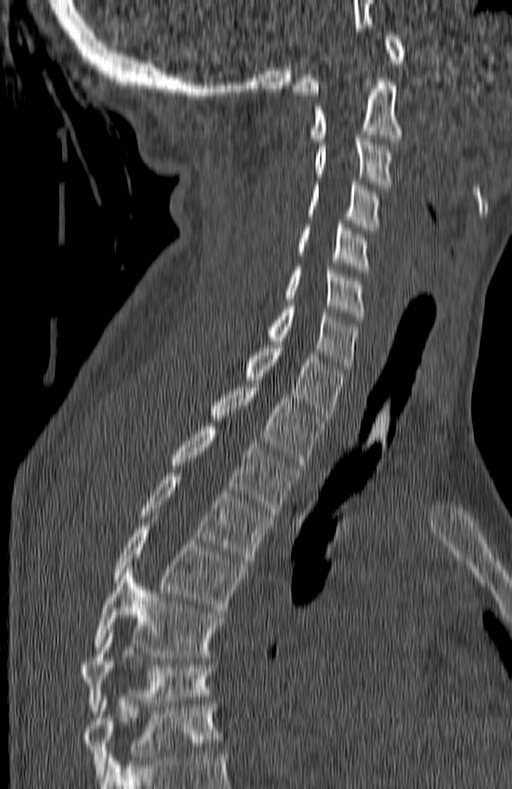
CT, spine — sagittal view — bone-window reconstruction
Bounding boxes as [x1, y1, x2, y2] in pixel coordinates.
In this scan, the topmost labeled vertebra is C1 and the lowest is T7.
T7: [81, 633, 213, 714]
T6: [94, 569, 222, 657]
T5: [115, 526, 245, 611]
T4: [140, 473, 270, 564]
T3: [172, 427, 296, 515]
T2: [211, 384, 324, 465]
T1: [243, 341, 344, 419]
C7: [265, 306, 358, 372]
C6: [285, 267, 364, 319]
C5: [297, 224, 370, 273]
C4: [308, 181, 378, 230]
C3: [314, 135, 392, 187]
C2: [311, 75, 404, 141]
C1: [292, 32, 405, 95]